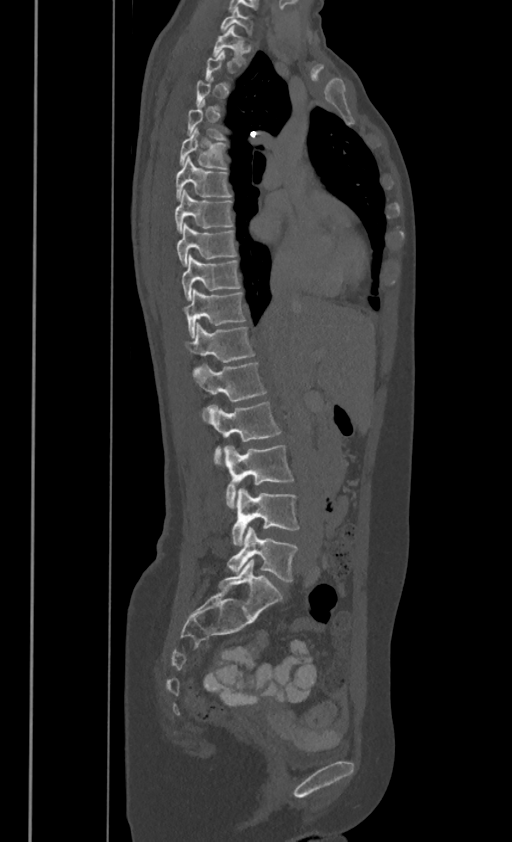
Spine computed tomography — sagittal reformat
Boxes: x1 y1 x2 y2 (pixel coords, space-separated).
Not every vertebra on this slice has a box: a vertebra is boxed only from the first to the last slice where its cross-section is at least a third of its largest, and this slice is outside that range for at least one of them.
In these labels the spine has no T12: the thoracic vertebrae end at T11, and L1 comes next.
Vertebra bounding boxes:
- C7: 220 6 252 34
- T1: 213 25 250 62
- T4: 188 100 224 137
- T5: 180 127 226 167
- T6: 176 155 231 197
- T7: 175 190 232 231
- T8: 176 222 236 265
- T9: 182 254 240 299
- T10: 184 289 244 336
- T11: 186 322 254 361
- L1: 193 362 265 400
- L2: 207 400 280 465
- L3: 224 445 293 508
- L4: 232 487 299 545
- L5: 228 528 297 580